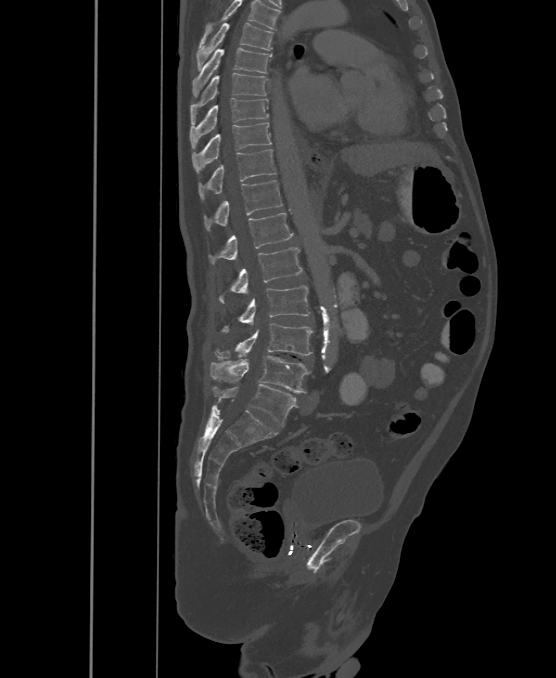 Computed tomography of the spine — the image is 500 mm wide — sagittal view — W/L 1800/400 HU — 556x678 px

Each vertebra maps to its box as [x1, y1, x2, y2], the pixel coordinates of its top-left and bottom-right corners.
Labels in this scan begin with T6 at the top and end with L6 at the bottom.
These labels give the spine a sixth lumbar vertebra, L6, below L5.
{"vertebrae":{"T6":[196,23,272,70],"T7":[192,48,271,96],"T8":[190,73,268,123],"T9":[190,98,268,148],"T10":[192,123,271,173],"T11":[199,149,276,199],"T12":[203,180,282,230],"L1":[208,213,292,263],"L2":[219,247,303,303],"L3":[222,286,309,333],"L4":[215,324,313,358],"L5":[211,356,310,393],"L6":[213,384,295,426]}}